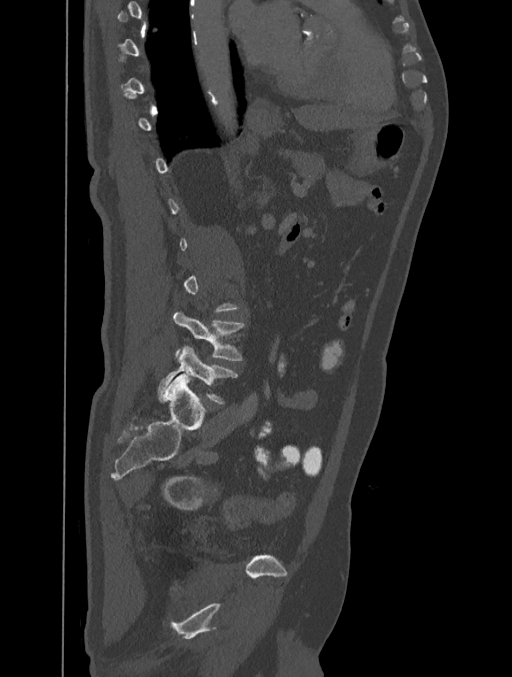 CT · image width 401 mm · sagittal view · Bone window (WL 400, WW 1800)
Coordinates as <box>x1,y1,x2,y2</box>.
A vertebra gets a box only on the slices from the first to the last where its cross-section is at least a third of its largest; on a slice outside that range it gets none.
L5: <box>158,346,236,402</box>
L4: <box>174,311,243,361</box>